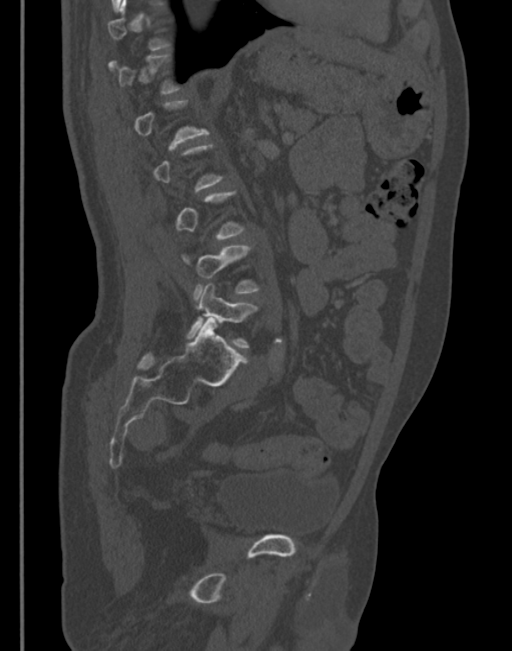

Spine computed tomography · sagittal view · 512x651 px
In the table, x1 and y1 are a box's top-left corner and x2 and y2 its bottom-right corner, in pixels.
Not every vertebra on this slice has a box: a vertebra is boxed only from the first to the last slice where its cross-section is at least a third of its largest, and this slice is outside that range for at least one of them.
| vertebra | x1 | y1 | x2 | y2 |
|---|---|---|---|---|
| L4 | 184 | 246 | 258 | 298 |
| L5 | 187 | 284 | 257 | 347 |